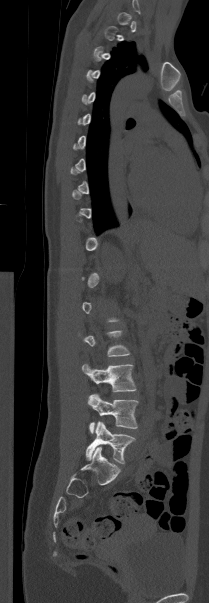
Spine CT · sagittal view · W/L 1800/400 HU · 209 mm across the image. Coordinates as <box>x1,y1,x2,y2</box>.
A vertebra is boxed only from the first to the last slice where its cross-section is at least a third of its largest; slices outside that range leave it without a box.
L3: <box>82,364,136,392</box>
L4: <box>87,394,138,433</box>
L5: <box>86,421,134,463</box>